CT · sagittal reformat · image 538 mm wide · 596x776 px
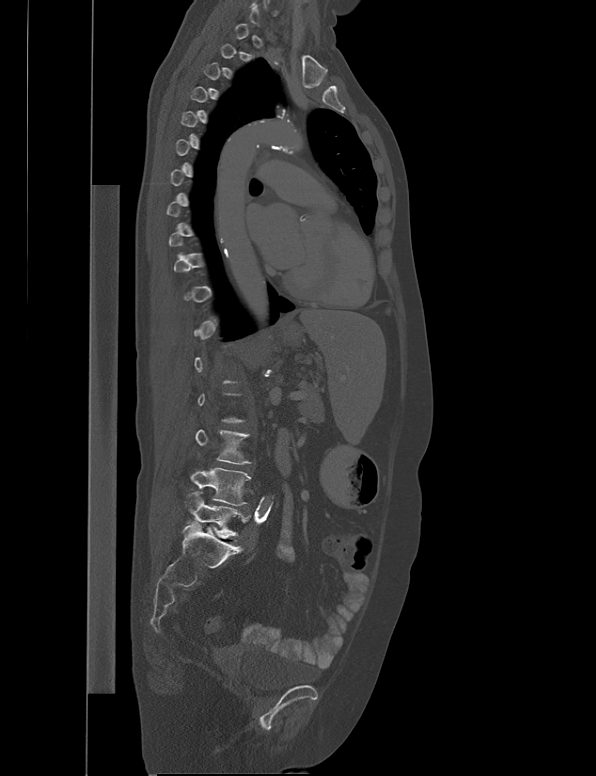 In the table, x1 and y1 are a box's top-left corner and x2 and y2 its bottom-right corner, in pixels.
Each vertebra is boxed only on the slices from the first to the last where its cross-section reaches a third of its largest, so a slice outside that range leaves it unboxed.
| vertebra | x1 | y1 | x2 | y2 |
|---|---|---|---|---|
| L3 | 195 | 430 | 250 | 464 |
| L4 | 190 | 467 | 251 | 505 |
| L5 | 186 | 491 | 240 | 537 |